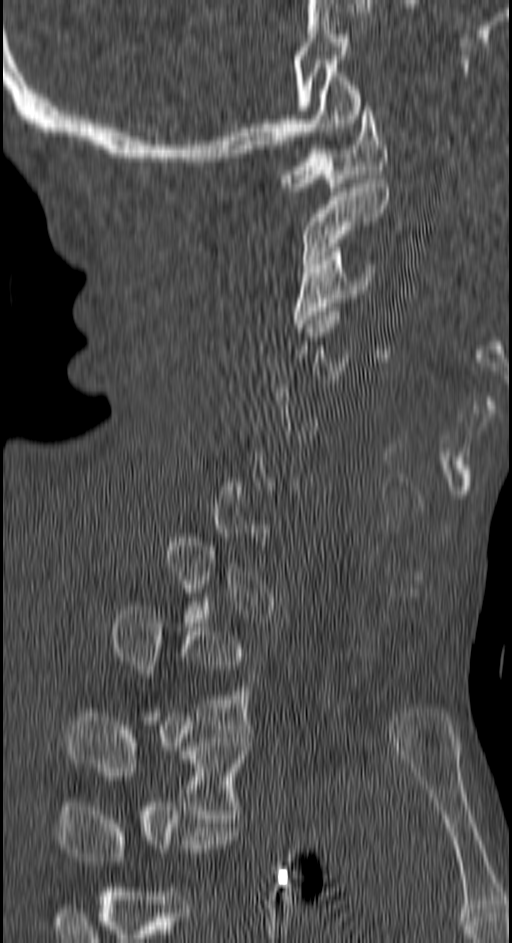 CT. sagittal view
Box edges are left/top/right/bottom in pixels.
Each vertebra is boxed only on the slices from the first to the last where its cross-section reaches a third of its largest, so a slice outside that range leaves it unboxed.
C1: left=281, top=102, right=386, bottom=191
C2: left=302, top=179, right=389, bottom=268
C3: left=294, top=247, right=376, bottom=328
T2: left=110, top=606, right=249, bottom=729
T3: left=66, top=713, right=246, bottom=818